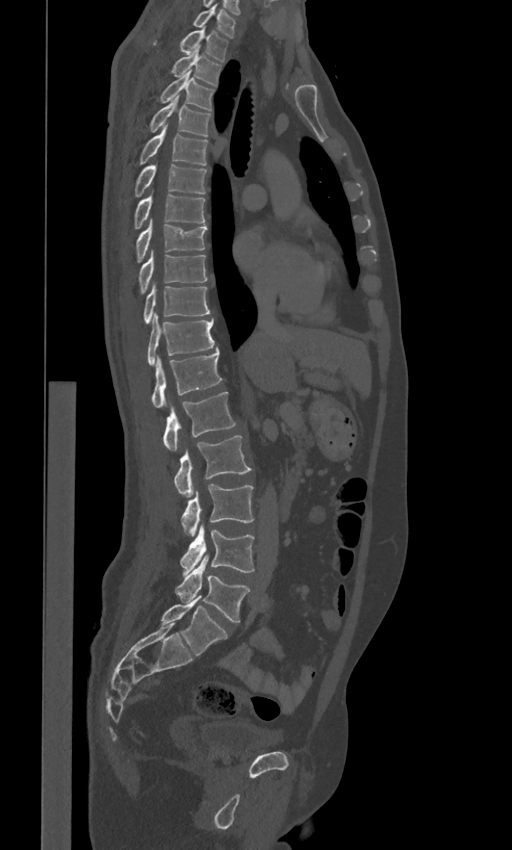
Spine CT. sagittal view. Bone window (WL 400, WW 1800). 512x850 px
Boxes are (x1, y1, x2, y2) in pixels.
In these labels the spine has an L6, a sixth lumbar vertebra below L5.
C7: (193, 3, 235, 37)
T1: (180, 28, 228, 61)
T2: (171, 45, 221, 85)
T3: (161, 70, 214, 110)
T4: (150, 96, 210, 135)
T5: (140, 125, 208, 164)
T6: (135, 163, 207, 196)
T7: (134, 190, 205, 228)
T8: (136, 217, 207, 262)
T9: (139, 249, 207, 293)
T10: (143, 282, 209, 322)
T11: (147, 312, 214, 366)
T12: (151, 350, 222, 408)
L1: (163, 392, 235, 451)
L2: (173, 436, 251, 497)
L3: (181, 484, 253, 536)
L4: (180, 523, 254, 575)
L5: (175, 555, 250, 622)
L6: (160, 595, 227, 655)